Spine computed tomography. sagittal plane, index 165. bone-window reconstruction
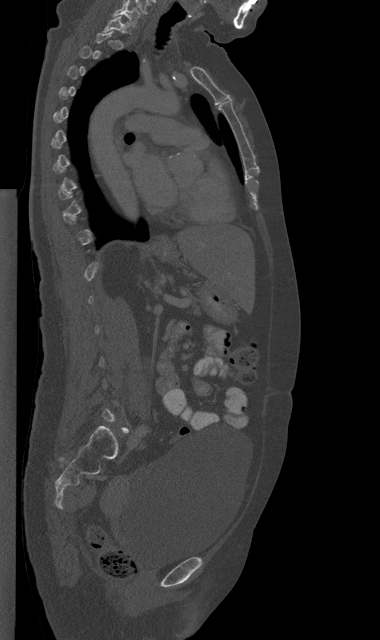 A vertebra is boxed only from the first to the last slice where its cross-section is at least a third of its largest; slices outside that range leave it without a box.
<vertebrae><v name="C7" x1="113" y1="4" x2="139" y2="26"/><v name="T1" x1="102" y1="16" x2="129" y2="41"/></vertebrae>